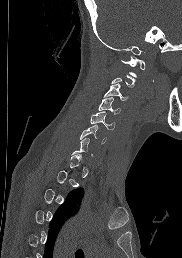 CT spine. sagittal view
Columns x1, y1, x2, y2 give each box's top-left and bottom-right pixels.
A vertebra gets a box only on the slices from the first to the last where its cross-section is at least a third of its largest; on a slice outside that range it gets none.
| vertebra | x1 | y1 | x2 | y2 |
|---|---|---|---|---|
| C1 | 120 | 57 | 145 | 76 |
| C3 | 104 | 83 | 126 | 100 |
| C4 | 98 | 98 | 121 | 114 |
| C5 | 90 | 111 | 115 | 129 |
| C6 | 80 | 125 | 106 | 143 |